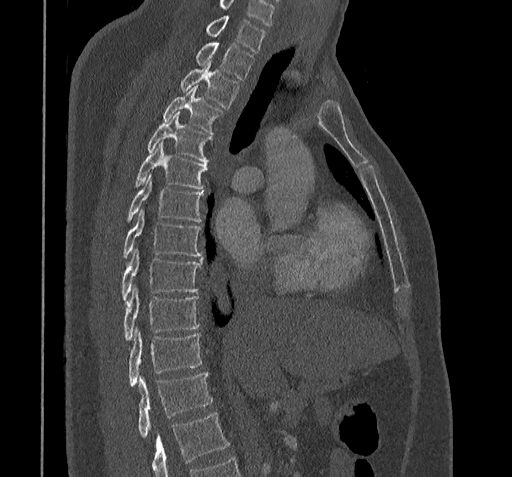

CT spine — image width 322 mm — sagittal view — W/L 1800/400 HU — 512x477 px
Coordinates as <box>x1,y1,x2,y2</box>.
No box is given to a vertebra that the bottom edge of the scan cuts off.
In this scan, the topmost labeled vertebra is C7 and the lowest is T11.
Vertebra bounding boxes:
- C7: <box>206,16,264,52</box>
- T1: <box>197,43,253,79</box>
- T2: <box>181,60,237,108</box>
- T3: <box>163,86,221,134</box>
- T4: <box>148,113,210,162</box>
- T5: <box>136,142,207,188</box>
- T6: <box>128,175,202,221</box>
- T7: <box>124,209,202,258</box>
- T8: <box>122,248,202,302</box>
- T9: <box>124,286,199,341</box>
- T10: <box>128,329,201,385</box>
- T11: <box>138,374,212,437</box>